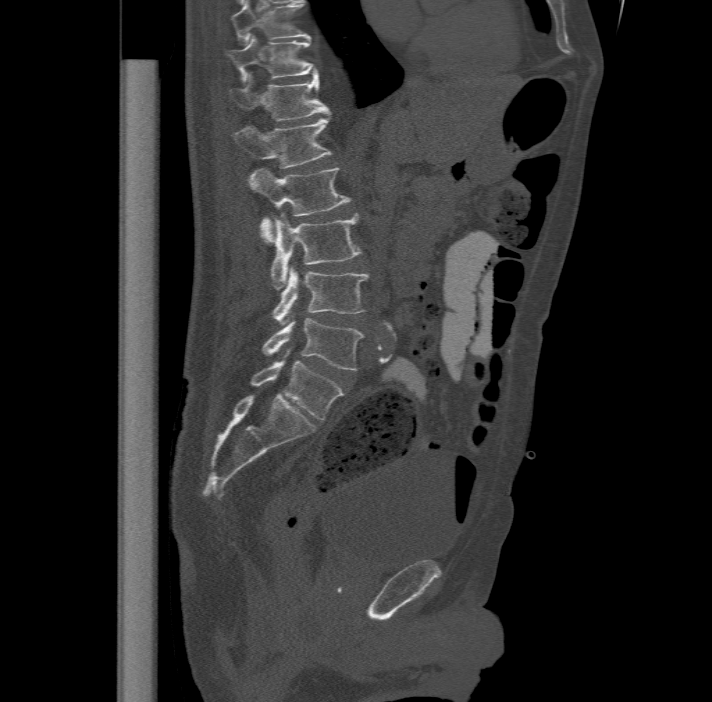
Spine computed tomography · sagittal view · bone-window reconstruction
The highest labeled vertebra in this scan is T11; the lowest is L6.
These labels give the spine a sixth lumbar vertebra, L6, below L5.
<vertebrae><v name="L6" x1="250" y1="350" x2="344" y2="421"/><v name="L5" x1="263" y1="316" x2="363" y2="370"/><v name="L4" x1="273" y1="264" x2="367" y2="324"/><v name="L3" x1="270" y1="212" x2="361" y2="288"/><v name="L2" x1="249" y1="167" x2="349" y2="242"/><v name="L1" x1="232" y1="115" x2="331" y2="167"/><v name="T12" x1="229" y1="74" x2="329" y2="120"/><v name="T11" x1="225" y1="36" x2="317" y2="79"/></vertebrae>